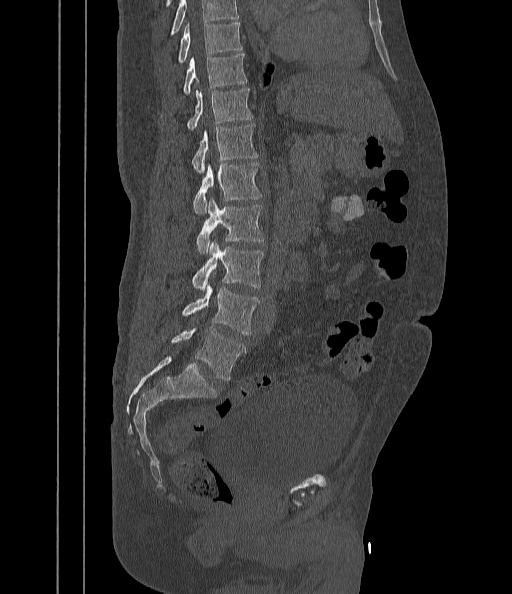
CT spine — sagittal view

Columns x1, y1, x2, y2 give each box's top-left and bottom-right pixels.
Where the top of the scan cuts through a vertebra, that vertebra gets no label or box.
| vertebra | x1 | y1 | x2 | y2 |
|---|---|---|---|---|
| T9 | 177 | 23 | 242 | 63 |
| T10 | 183 | 54 | 247 | 95 |
| T11 | 186 | 89 | 253 | 129 |
| T12 | 191 | 123 | 257 | 173 |
| L1 | 193 | 162 | 261 | 214 |
| L2 | 196 | 200 | 263 | 254 |
| L3 | 192 | 242 | 264 | 289 |
| L4 | 182 | 285 | 260 | 334 |
| L5 | 171 | 327 | 246 | 380 |